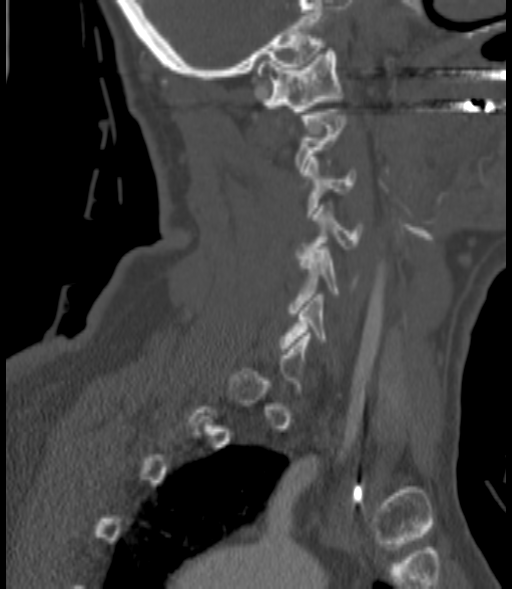
CT, spine; sagittal reformat; 512x589 px; the image spans 200 mm across

Each vertebra is boxed only on the slices from the first to the last where its cross-section reaches a third of its largest, so a slice outside that range leaves it unboxed.
<vertebrae><v name="C6" x1="280" y1="294" x2="326" y2="348"/><v name="C5" x1="288" y1="250" x2="340" y2="313"/><v name="C4" x1="296" y1="205" x2="361" y2="258"/><v name="C3" x1="304" y1="157" x2="355" y2="217"/><v name="C1" x1="258" y1="48" x2="342" y2="114"/></vertebrae>